Spine CT. sagittal reformat. W/L 1800/400 HU. 512x634 px. 10 vertebrae labeled in this scan
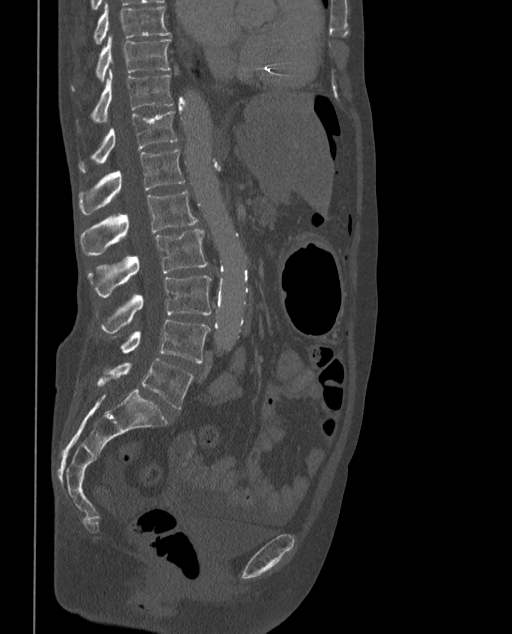

Boxes below are [x1, y1, x2, y2] in pixels.
In these labels the spine has an L6, a sixth lumbar vertebra below L5.
{"vertebrae":{"T9":[93,2,170,43],"T10":[71,36,170,90],"T11":[89,70,173,123],"T12":[78,111,177,172],"L1":[79,149,184,214],"L2":[81,190,198,256],"L3":[88,229,207,297],"L4":[100,275,212,333],"L5":[121,320,210,362],"L6":[97,358,194,409]}}